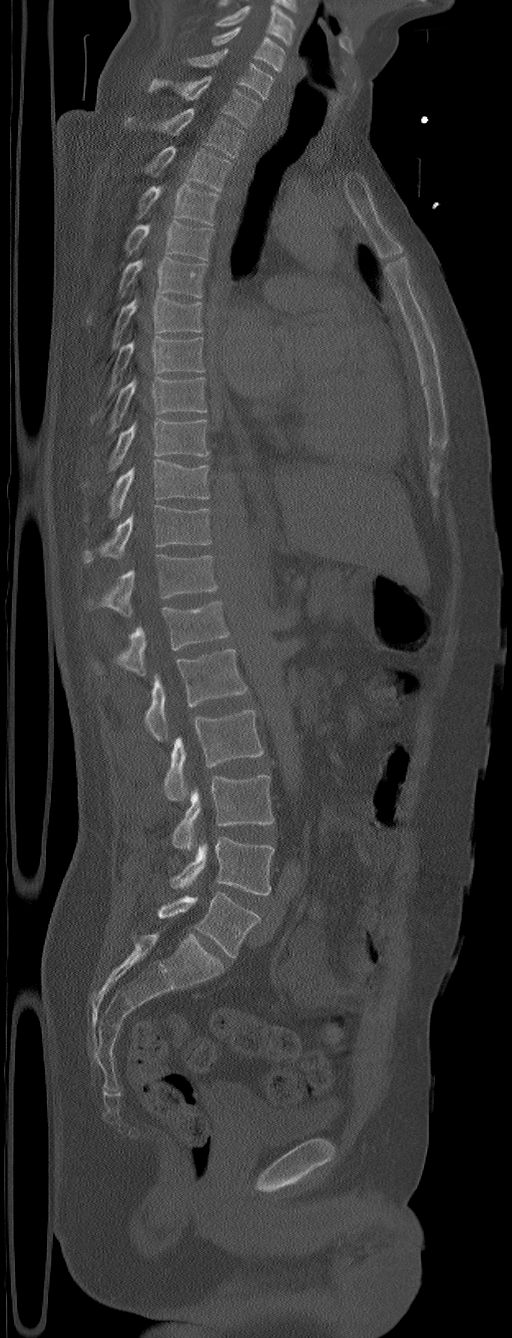

Spine computed tomography — sagittal view — 512x1338 px
Box values are [left, top, right, bottom] in pixels.
In this scan, the topmost labeled vertebra is C5 and the lowest is L6.
The labels name a sixth lumbar vertebra for this spine: L6, after L5.
{"vertebrae":{"L6":[158,892,260,958],"L5":[170,836,275,894],"L4":[172,774,275,850],"L3":[163,709,263,800],"L2":[145,648,248,741],"L1":[96,601,229,676],"T12":[88,554,218,617],"T11":[83,506,211,563],"T10":[108,460,209,516],"T9":[108,418,209,471],"T8":[108,378,207,432],"T7":[109,337,204,394],"T6":[113,296,202,347],"T5":[120,257,206,297],"T4":[125,220,213,260],"T3":[136,183,219,224],"T2":[145,146,231,191],"T1":[156,108,244,157],"C7":[148,76,260,125],"C6":[187,49,273,98],"C5":[212,26,285,72]}}